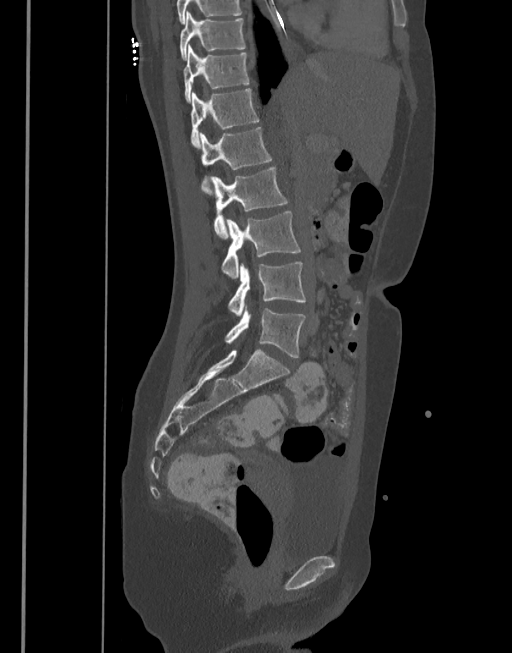
CT, spine. the image is 377 mm wide. sagittal view
Box values are [left, top, right, bottom] in pixels.
{"vertebrae":{"L5":[224,308,306,357],"L4":[228,262,306,316],"L3":[221,211,302,279],"L2":[210,166,288,239],"L1":[199,127,272,195],"T12":[191,88,258,148],"T11":[183,44,249,102],"T10":[179,11,245,60]}}